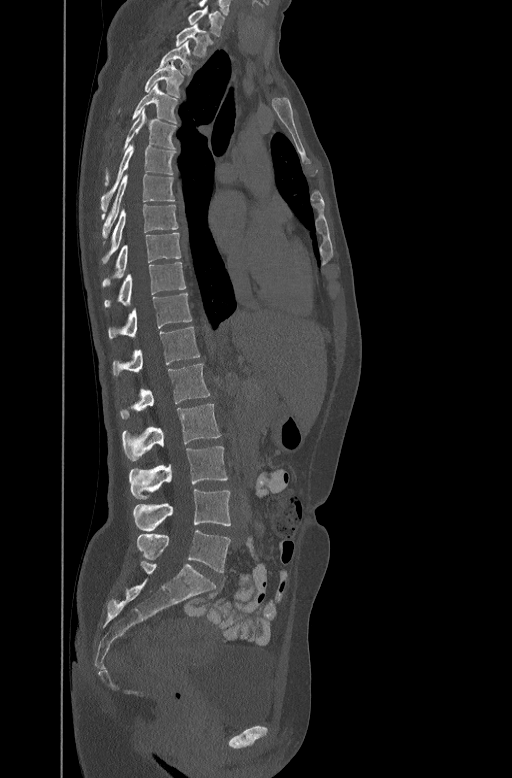 CT spine · sagittal reformat. Coordinates as <box>x1,y1,x2,y2</box>.
C7: <box>188,8,225,35</box>
T1: <box>175,25,211,54</box>
T2: <box>158,41,191,73</box>
T3: <box>143,60,182,95</box>
T4: <box>133,84,176,123</box>
T5: <box>104,108,175,185</box>
T6: <box>101,140,175,210</box>
T7: <box>102,172,174,237</box>
T8: <box>103,203,178,260</box>
T9: <box>102,231,180,286</box>
T10: <box>104,261,186,309</box>
T11: <box>108,292,191,336</box>
T12: <box>113,326,199,375</box>
L1: <box>119,363,210,419</box>
L2: <box>122,404,221,460</box>
L3: <box>129,446,227,499</box>
L4: <box>133,489,230,531</box>
L5: <box>136,530,230,572</box>